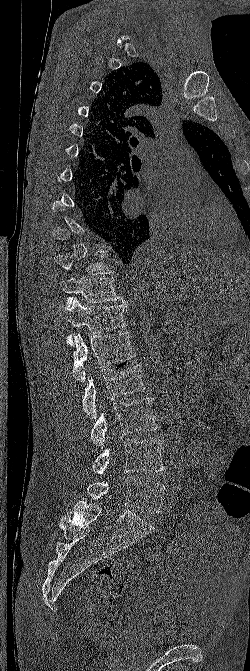 CT, spine · sagittal view · bone window
Boxes are given in columns x1, y1, x2, y2, the pixel coordinates of their top-left and bottom-right corners.
Each vertebra is boxed only on the slices from the first to the last where its cross-section reaches a third of its largest, so a slice outside that range leaves it unboxed.
| vertebra | x1 | y1 | x2 | y2 |
|---|---|---|---|---|
| T10 | 54 | 251 | 113 | 274 |
| T11 | 59 | 277 | 127 | 308 |
| T12 | 58 | 297 | 127 | 346 |
| L1 | 72 | 332 | 135 | 382 |
| L2 | 82 | 364 | 145 | 419 |
| L3 | 90 | 397 | 158 | 447 |
| L4 | 93 | 439 | 165 | 475 |
| L5 | 83 | 476 | 165 | 513 |